Spine computed tomography; Sagittal slice 25/52; 8 vertebrae labeled in this scan
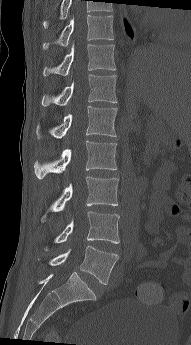
Each row gives a vertebra's box as x1, y1, x2, y2 in pixels: top-left corner, then bottom-right corner.
Labels in this scan begin with T10 at the top and end with L5 at the bottom.
| vertebra | x1 | y1 | x2 | y2 |
|---|---|---|---|---|
| T10 | 42 | 15 | 114 | 49 |
| T11 | 43 | 42 | 116 | 76 |
| T12 | 41 | 74 | 117 | 106 |
| L1 | 36 | 106 | 117 | 139 |
| L2 | 34 | 141 | 117 | 179 |
| L3 | 41 | 176 | 118 | 222 |
| L4 | 43 | 211 | 119 | 250 |
| L5 | 38 | 246 | 118 | 284 |